Spine computed tomography. sagittal plane, index 290. scan covers 19 annotated vertebrae
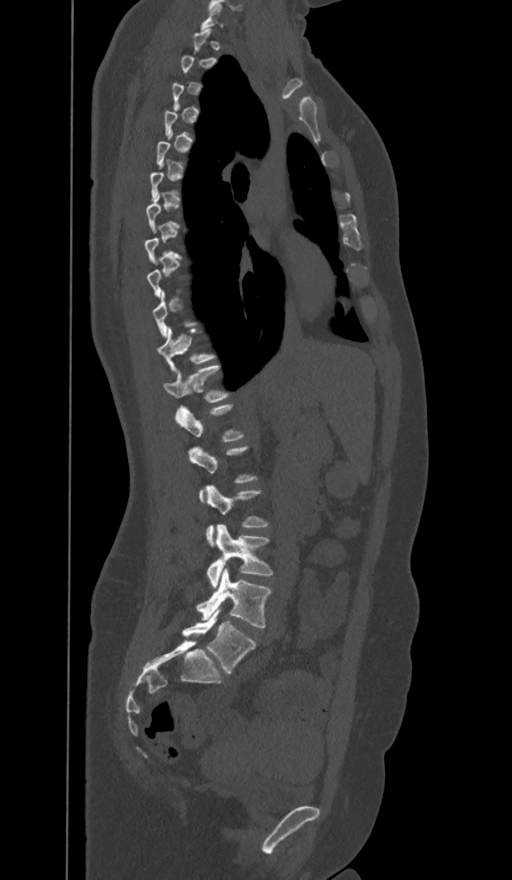

Boxes are given in columns x1, y1, x2, y2, the pixel coordinates of their top-left and bottom-right corners.
A vertebra is boxed only from the first to the last slice where its cross-section is at least a third of its largest; slices outside that range leave it without a box.
The labels name a sixth lumbar vertebra for this spine: L6, after L5.
| vertebra | x1 | y1 | x2 | y2 |
|---|---|---|---|---|
| L6 | 182 | 607 | 255 | 673 |
| L5 | 197 | 568 | 270 | 627 |
| L4 | 207 | 524 | 273 | 587 |
| T12 | 164 | 365 | 227 | 413 |
| T11 | 157 | 327 | 214 | 369 |
| C7 | 201 | 2 | 222 | 29 |